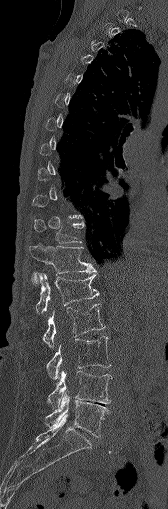 CT. sagittal view. 168x509 px. image 168 mm wide
Each box given as x1,y1,x2,y2.
A vertebra is boxed only from the first to the last slice where its cross-section is at least a third of its largest; slices outside that range leave it without a box.
T11: x1=34, y1=219, x2=84, y2=244
T12: x1=29, y1=241, x2=95, y2=276
L1: x1=32, y1=273, x2=98, y2=313
L2: x1=43, y1=303, x2=104, y2=346
L3: x1=47, y1=336, x2=111, y2=384
L4: x1=48, y1=370, x2=111, y2=408
L5: x1=46, y1=392, x2=108, y2=436